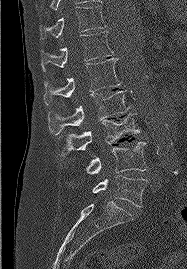 Spine computed tomography · sagittal view · W/L 1800/400 HU · 187 mm image width

Boxes: x1:y1:x2:y2 in pixels.
T11: 40:5:106:39
T12: 41:31:113:71
L1: 44:58:121:105
L2: 48:90:129:135
L3: 60:113:139:156
L4: 85:142:146:174
L5: 92:175:147:207